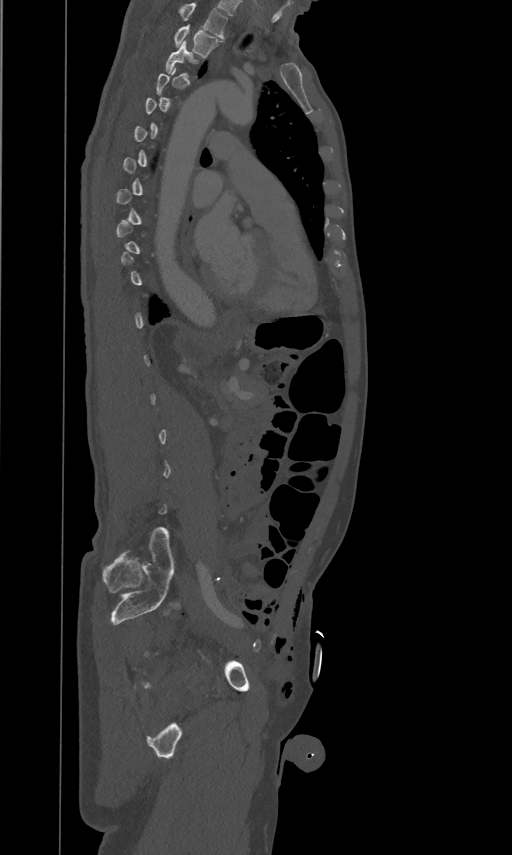 Spine CT. sagittal view. 461 mm wide
Box values are [left, top, right, bottom] in pixels.
Each vertebra is boxed only on the slices from the first to the last where its cross-section reaches a third of its largest, so a slice outside that range leaves it unboxed.
This scan's labels start at T2 at the top and end at L5 at the bottom.
{"vertebrae":{"T3":[166,40,198,76],"T2":[174,23,221,57]}}